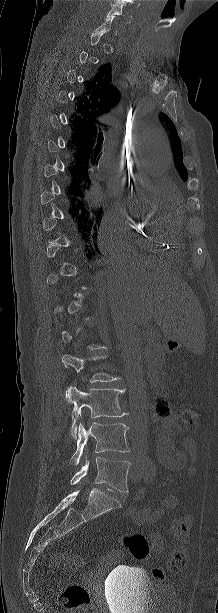 CT spine; sagittal view; 218x613 px. Boxes are (x1, y1, x2, y2) in pixels.
A vertebra gets a box only on the slices from the first to the last where its cross-section is at least a third of its largest; on a slice outside that range it gets none.
Vertebra bounding boxes:
- L5: (70, 457, 129, 492)
- L4: (70, 423, 129, 464)
- L3: (65, 386, 128, 438)